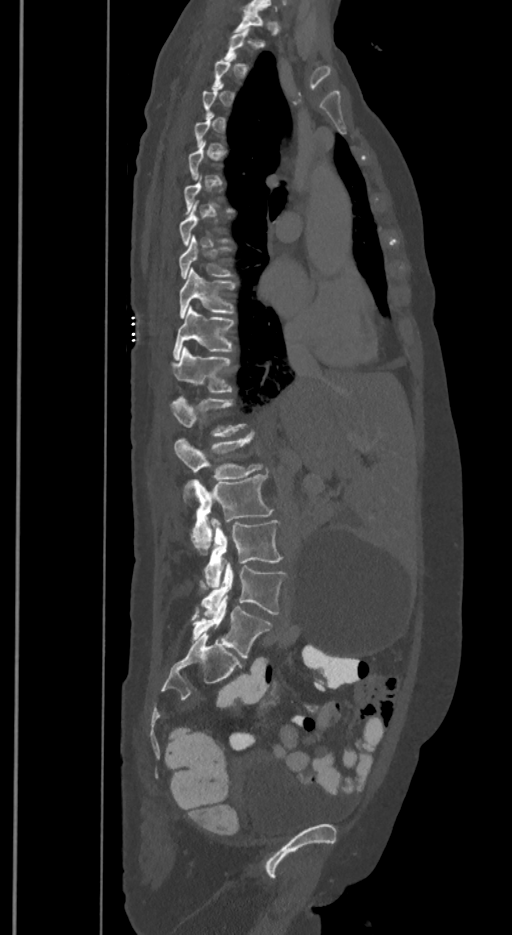
Spine computed tomography; sagittal reformat; Bone window (WL 400, WW 1800)
Each row gives a vertebra's box as x1, y1, x2, y2 in pixels: top-left corner, then bottom-right corner.
A vertebra is boxed only from the first to the last slice where its cross-section is at least a third of its largest; slices outside that range leave it without a box.
The labels name a sixth lumbar vertebra for this spine: L6, after L5.
| vertebra | x1 | y1 | x2 | y2 |
|---|---|---|---|---|
| T9 | 178 | 236 | 231 | 278 |
| T10 | 180 | 267 | 234 | 318 |
| T11 | 174 | 305 | 233 | 358 |
| T12 | 169 | 346 | 231 | 393 |
| L1 | 169 | 398 | 245 | 436 |
| L2 | 174 | 431 | 262 | 480 |
| L3 | 186 | 474 | 272 | 553 |
| L4 | 205 | 517 | 281 | 588 |
| L5 | 199 | 562 | 285 | 616 |
| L6 | 191 | 594 | 271 | 657 |